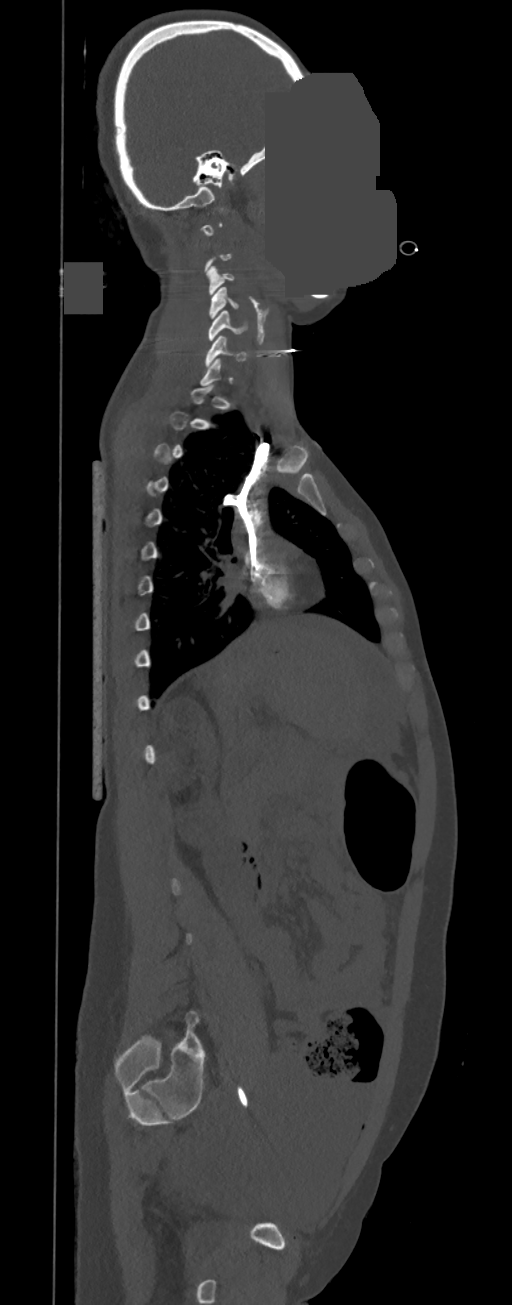

Spine CT · sagittal view · bone window · a uniform gray block covers part of the image

Bounding boxes as [x1, y1, x2, y2] in pixel coordinates.
Not every vertebra on this slice has a box: a vertebra is boxed only from the first to the last slice where its cross-section is at least a third of its largest, and this slice is outside that range for at least one of them.
Vertebra bounding boxes:
- C6: [205, 336, 246, 366]
- C5: [208, 311, 248, 340]
- C4: [209, 287, 239, 319]
- C3: [206, 266, 234, 295]